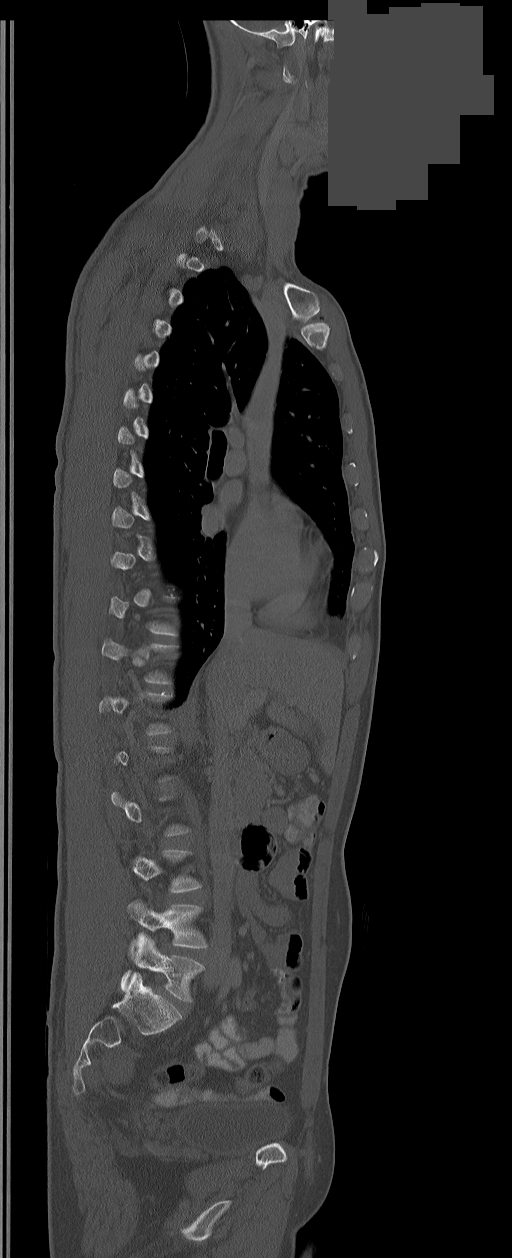 Computed tomography of the spine — sagittal reformat — bone window — part of the image is a flat gray fill, not anatomy
Boxes are (x1, y1, x2, y2) in pixels.
Not every vertebra on this slice has a box: a vertebra is boxed only from the first to the last slice where its cross-section is at least a third of its largest, and this slice is outside that range for at least one of them.
In these labels the spine has an L6, a sixth lumbar vertebra below L5.
Vertebra bounding boxes:
- L6: (122, 933, 204, 1001)
- L5: (128, 901, 207, 952)